CT, spine. Sagittal slice 217/512. Bone window (WL 400, WW 1800)
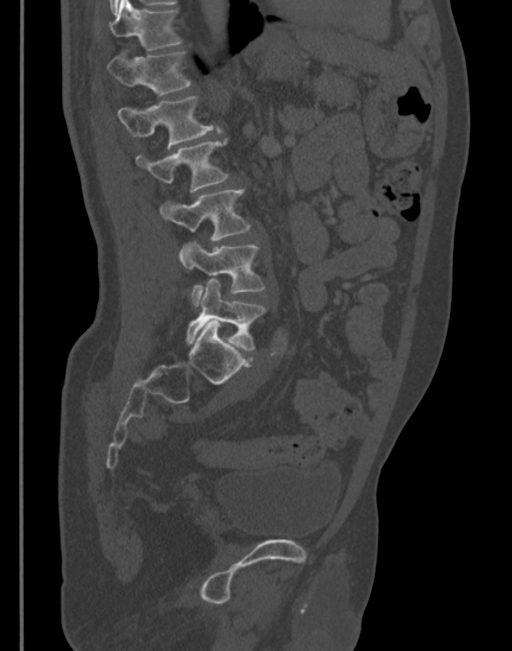 Coordinates as <box>x1,y1,x2,y2</box>.
Vertebra bounding boxes:
- T11: <box>110,0,181,50</box>
- T12: <box>107,51,190,95</box>
- L1: <box>118,96,220,149</box>
- L2: <box>136,140,227,191</box>
- L3: <box>160,189,250,240</box>
- L4: <box>179,242,264,305</box>
- L5: <box>187,278,264,350</box>